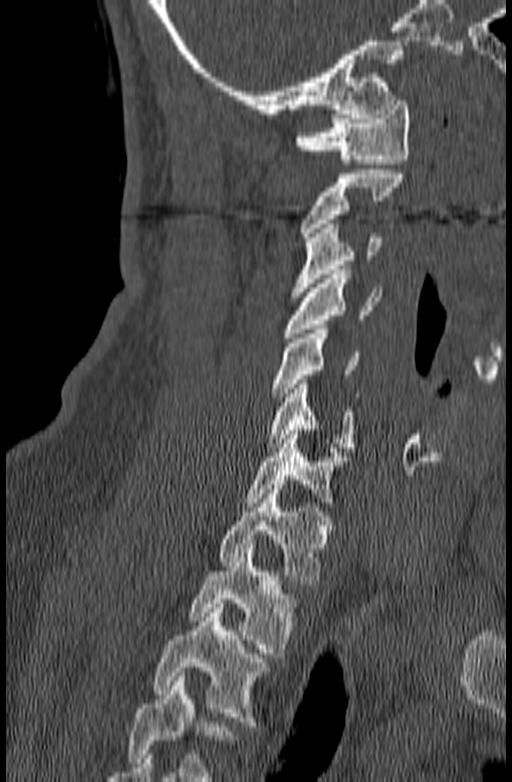
CT, spine; sagittal view
Bounding boxes as [x1, y1, x2, y2] in pixel coordinates.
No box is given to a vertebra that the bottom edge of the scan cuts off.
C1: [296, 96, 410, 164]
C2: [300, 169, 404, 241]
C3: [291, 224, 380, 296]
C4: [283, 270, 382, 337]
C5: [272, 329, 359, 401]
C6: [267, 379, 355, 452]
C7: [243, 430, 348, 506]
T1: [221, 485, 334, 584]
T2: [189, 544, 298, 657]
T3: [153, 603, 268, 726]